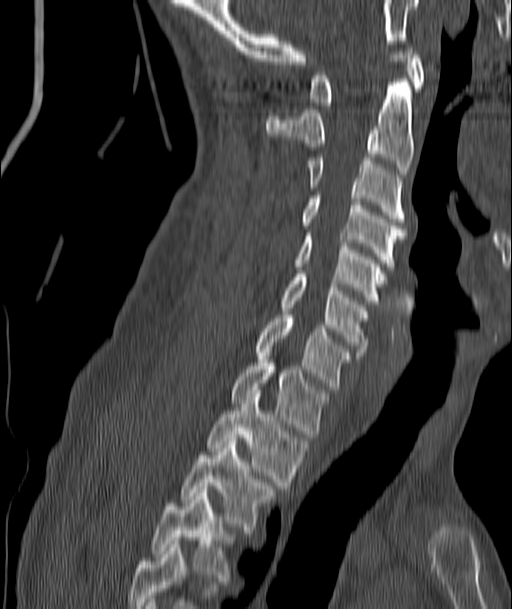

CT. sagittal view

Bounding boxes as [x1, y1, x2, y2] in pixel coordinates.
T4: [151, 493, 235, 581]
T3: [182, 438, 276, 533]
T2: [206, 394, 309, 492]
T1: [231, 359, 328, 437]
C7: [255, 315, 350, 389]
C6: [280, 274, 367, 355]
C5: [294, 233, 386, 304]
C4: [299, 195, 405, 269]
C3: [308, 157, 405, 221]
C2: [266, 82, 413, 174]
C1: [310, 44, 424, 105]